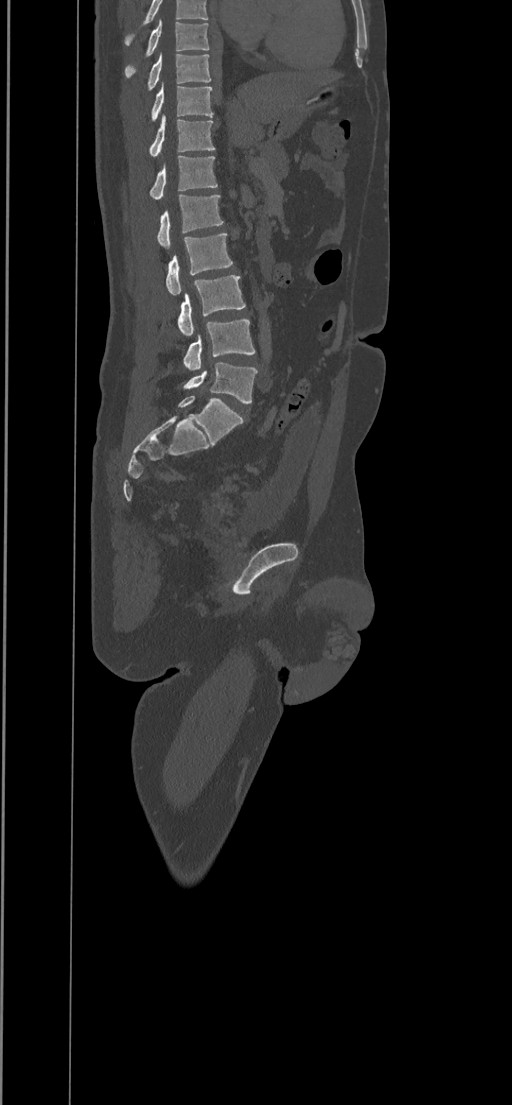

CT. sagittal view. bone window

Box values are [left, top, right, bottom] in pixels.
The highest labeled vertebra in this scan is T8; the lowest is L5.
{"vertebrae":{"L5":[183,362,257,402],"L4":[183,319,255,370],"L3":[177,275,245,336],"L2":[166,234,232,295],"L1":[157,194,223,250],"T12":[150,156,217,200],"T11":[149,115,215,157],"T10":[151,83,213,120],"T9":[147,53,211,90],"T8":[125,20,209,77]}}